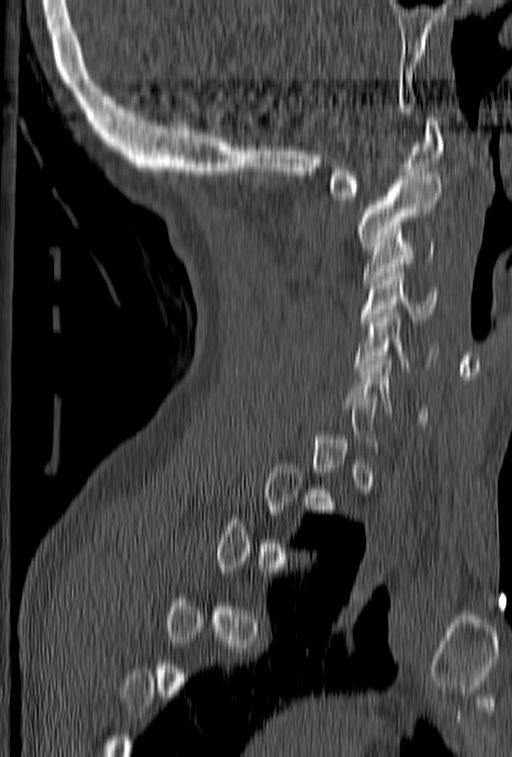 CT spine. sagittal view. W/L 1800/400 HU. 512x757 px

Box edges are left/top/right/bottom in pixels.
Each vertebra is boxed only on the slices from the first to the last where its cross-section reaches a third of its largest, so a slice outside that range leaves it unboxed.
| vertebra | x1 | y1 | x2 | y2 |
|---|---|---|---|---|
| C1 | 326 | 113 | 444 | 200 |
| C2 | 356 | 172 | 442 | 250 |
| C3 | 363 | 238 | 435 | 283 |
| C4 | 359 | 264 | 437 | 325 |
| C5 | 356 | 301 | 438 | 371 |
| C6 | 349 | 356 | 427 | 421 |